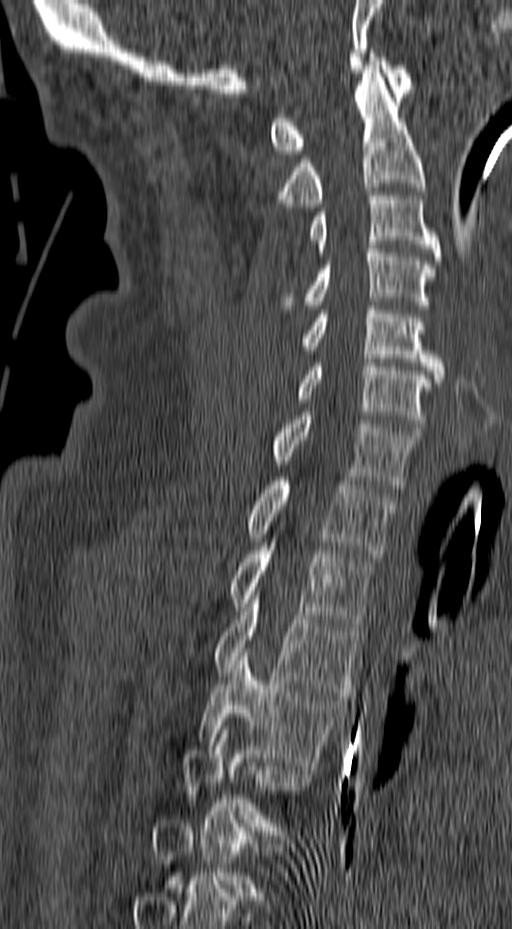
CT. sagittal reformat. bone-window reconstruction. 512x929 px
In the table, x1 and y1 are a box's top-left corner and x2 and y2 its bottom-right corner, in pixels.
A vertebra is boxed only from the first to the last slice where its cross-section is at least a third of its largest; slices outside that range leave it without a box.
| vertebra | x1 | y1 | x2 | y2 |
|---|---|---|---|---|
| C1 | 270 | 53 | 413 | 154 |
| C2 | 278 | 65 | 425 | 207 |
| C3 | 311 | 188 | 441 | 260 |
| C4 | 277 | 245 | 435 | 309 |
| C5 | 302 | 306 | 445 | 386 |
| C6 | 298 | 359 | 432 | 431 |
| C7 | 272 | 412 | 421 | 488 |
| T1 | 248 | 477 | 395 | 557 |
| T2 | 229 | 542 | 375 | 627 |
| T3 | 213 | 591 | 362 | 696 |
| T4 | 198 | 652 | 346 | 769 |